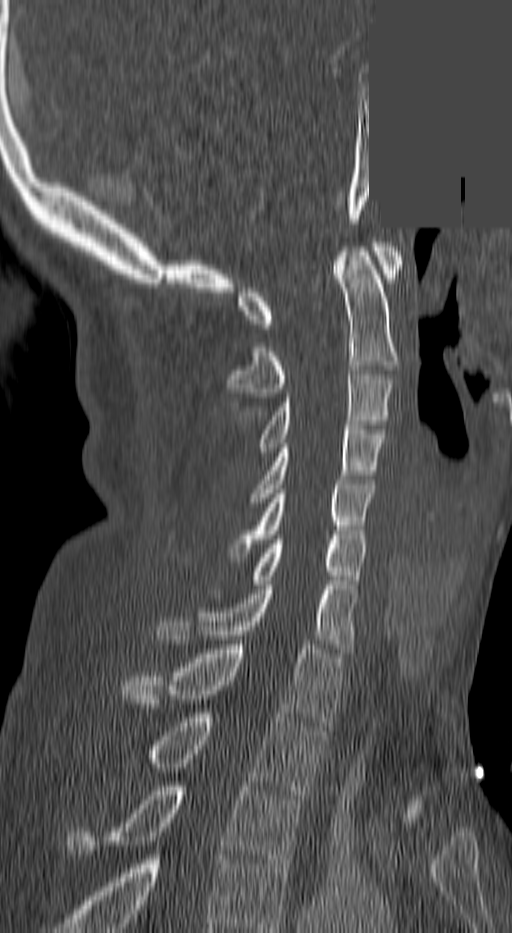

Computed tomography of the spine — sagittal view — 512x933 px — 140 mm across the image — a region is masked with a constant gray value

Box edges are left/top/right/bottom in pixels.
Labels in this scan begin with C1 at the top and end with T3 at the bottom.
C1: left=239, top=242, right=403, bottom=328
C2: left=228, top=247, right=399, bottom=397
C3: left=260, top=370, right=392, bottom=452
C4: left=251, top=425, right=384, bottom=502
C5: left=232, top=480, right=373, bottom=557
C6: left=250, top=539, right=366, bottom=584
C7: left=159, top=585, right=356, bottom=648
T1: left=122, top=645, right=340, bottom=726
T2: left=148, top=713, right=323, bottom=799
T3: left=67, top=786, right=304, bottom=868